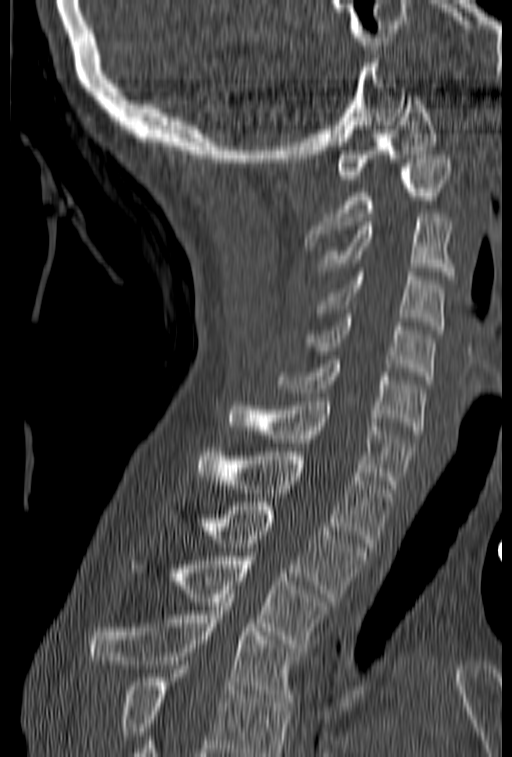 Spine CT — sagittal view — bone-window reconstruction
No box is given to a vertebra that the bottom edge of the scan cuts off.
<vertebrae><v name="T4" x1="88" y1="594" x2="298" y2="702"/><v name="T3" x1="132" y1="552" x2="331" y2="647"/><v name="T2" x1="170" y1="502" x2="368" y2="601"/><v name="T1" x1="198" y1="448" x2="392" y2="547"/><v name="C7" x1="225" y1="397" x2="415" y2="488"/><v name="C6" x1="276" y1="360" x2="425" y2="434"/><v name="C5" x1="305" y1="314" x2="435" y2="380"/><v name="C4" x1="316" y1="272" x2="445" y2="334"/><v name="C3" x1="318" y1="213" x2="455" y2="279"/><v name="C2" x1="304" y1="155" x2="452" y2="246"/><v name="C1" x1="336" y1="96" x2="437" y2="179"/></vertebrae>